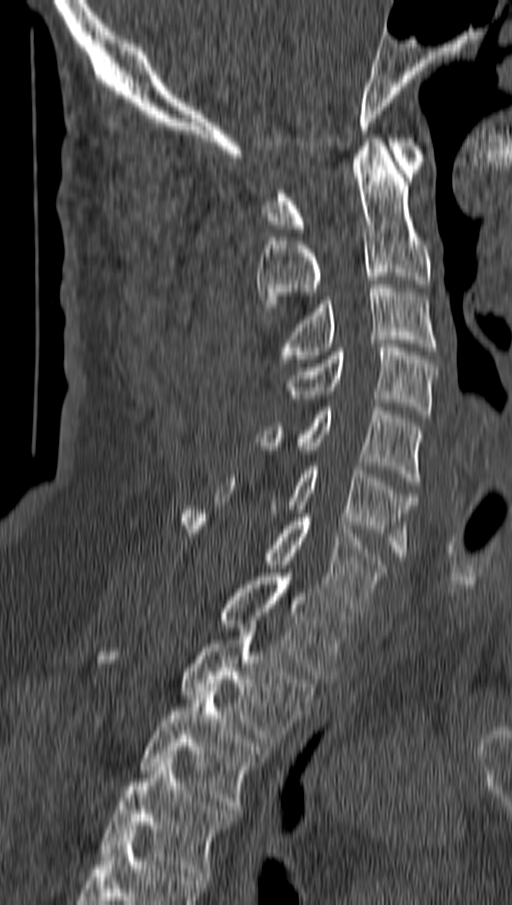

CT, spine; sagittal view; Bone window (WL 400, WW 1800); 512x905 px

Boxes: x1:y1:x2:y2 in pixels. The labeled vertebrae in this slice are: C1 at 263:138:424:232, C2 at 257:138:430:311, C3 at 277:284:436:366, C4 at 286:344:436:418, C5 at 253:403:420:485, C6 at 217:466:417:560, C7 at 181:510:386:611, T1 at 222:569:351:679, T2 at 181:628:313:746, T3 at 140:687:266:809, T4 at 102:759:234:880.